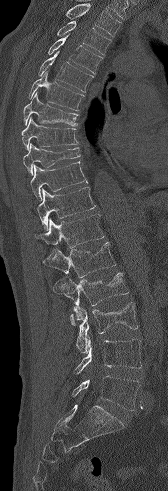

CT spine; sagittal reformat; the image is 168 mm wide; 168x491 px
Each row gives a vertebra's box as x1, y1, x2, y2 in pixels: top-left corner, then bottom-right corner.
No box is given to a vertebra that the top edge of the scan cuts off.
| vertebra | x1 | y1 | x2 | y2 |
|---|---|---|---|---|
| T3 | 57 | 21 | 111 | 55 |
| T4 | 48 | 34 | 102 | 73 |
| T5 | 38 | 51 | 93 | 92 |
| T6 | 29 | 71 | 84 | 110 |
| T7 | 23 | 92 | 78 | 125 |
| T8 | 21 | 117 | 78 | 150 |
| T9 | 23 | 143 | 80 | 174 |
| T10 | 30 | 162 | 87 | 199 |
| T11 | 37 | 187 | 96 | 230 |
| T12 | 34 | 215 | 104 | 248 |
| L1 | 43 | 242 | 115 | 277 |
| L2 | 53 | 272 | 128 | 326 |
| L3 | 72 | 302 | 138 | 353 |
| L4 | 74 | 339 | 141 | 374 |
| L5 | 72 | 375 | 140 | 410 |